Spine computed tomography · Sagittal slice 258/512 · Bone window (WL 400, WW 1800) · 512x705 px · scan covers 17 annotated vertebrae
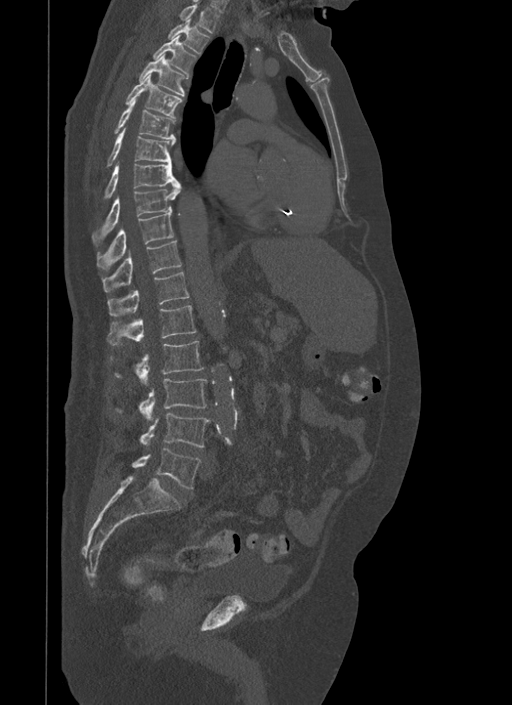 Boxes: x1 y1 x2 y2 (pixel coords, space-separated). Vertebrae labeled: T1 at 180 3 219 33, T2 at 168 18 209 53, T3 at 153 35 196 78, T4 at 139 53 185 95, T5 at 125 74 182 118, T6 at 114 98 173 138, T7 at 106 128 175 167, T8 at 104 162 180 199, T9 at 92 183 182 246, T10 at 97 213 173 268, T11 at 102 241 182 292, T12 at 107 271 189 316, L1 at 107 305 196 345, L2 at 115 341 203 385, L3 at 116 378 207 420, L4 at 141 413 210 446, L5 at 133 447 201 488.